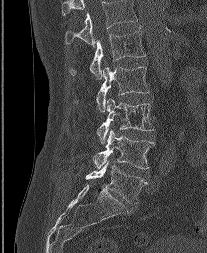 CT — sagittal view — W/L 1800/400 HU. Columns x1, y1, x2, y2 give each box's top-left and bottom-right pixels.
This scan's labels start at L1 at the top and end at L5 at the bottom.
| vertebra | x1 | y1 | x2 | y2 |
|---|---|---|---|---|
| L5 | 85 | 160 | 146 | 203 |
| L4 | 93 | 129 | 153 | 169 |
| L3 | 97 | 98 | 153 | 143 |
| L2 | 74 | 66 | 149 | 111 |
| L1 | 69 | 26 | 145 | 78 |